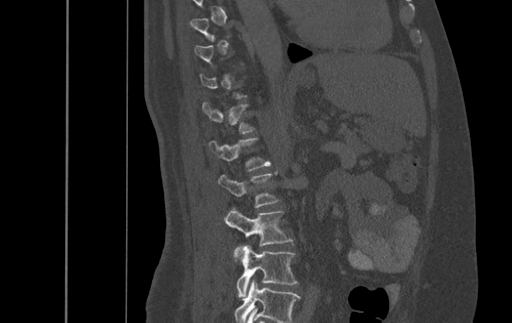 CT, spine — sagittal reformat — 512x323 px
Each vertebra is boxed only on the slices from the first to the last where its cross-section reaches a third of its largest, so a slice outside that range leaves it unboxed.
Labels in this scan begin with T9 at the top and end with L4 at the bottom.
<vertebrae><v name="T12" x1="202" y1="102" x2="253" y2="133"/><v name="L1" x1="209" y1="138" x2="270" y2="170"/><v name="L2" x1="218" y1="171" x2="278" y2="207"/><v name="L3" x1="224" y1="209" x2="292" y2="255"/><v name="L4" x1="234" y1="245" x2="297" y2="299"/></vertebrae>